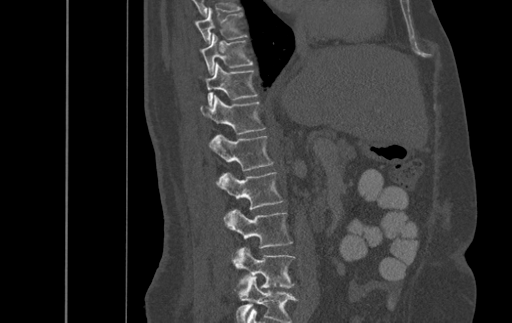
CT, spine; sagittal view
Bounding boxes as [x1, y1, x2, y2] in pixel coordinates.
In this scan, the topmost labeled vertebra is T9 and the lowest is L4.
T9: [195, 8, 246, 44]
T10: [200, 34, 252, 74]
T11: [199, 62, 257, 105]
T12: [201, 94, 264, 134]
L1: [209, 134, 272, 170]
L2: [216, 172, 283, 209]
L3: [223, 209, 292, 248]
L4: [232, 247, 294, 288]